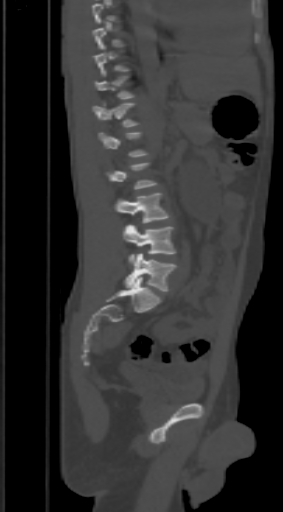

CT, spine — sagittal view — 283x512 px
Bounding boxes as [x1, y1, x2, y2] in pixel coordinates.
Each vertebra is boxed only on the slices from the first to the last where its cross-section reaches a third of its largest, so a slice outside that range leaves it unboxed.
Vertebra bounding boxes:
- T12: [92, 103, 136, 127]
- L3: [115, 193, 170, 223]
- L4: [123, 224, 175, 261]
- L5: [123, 253, 175, 291]